Spine computed tomography; sagittal plane, index 90; Bone window (WL 400, WW 1800); 25 vertebrae labeled in this scan; image width 350 mm; a region of this slice is masked with a uniform fill
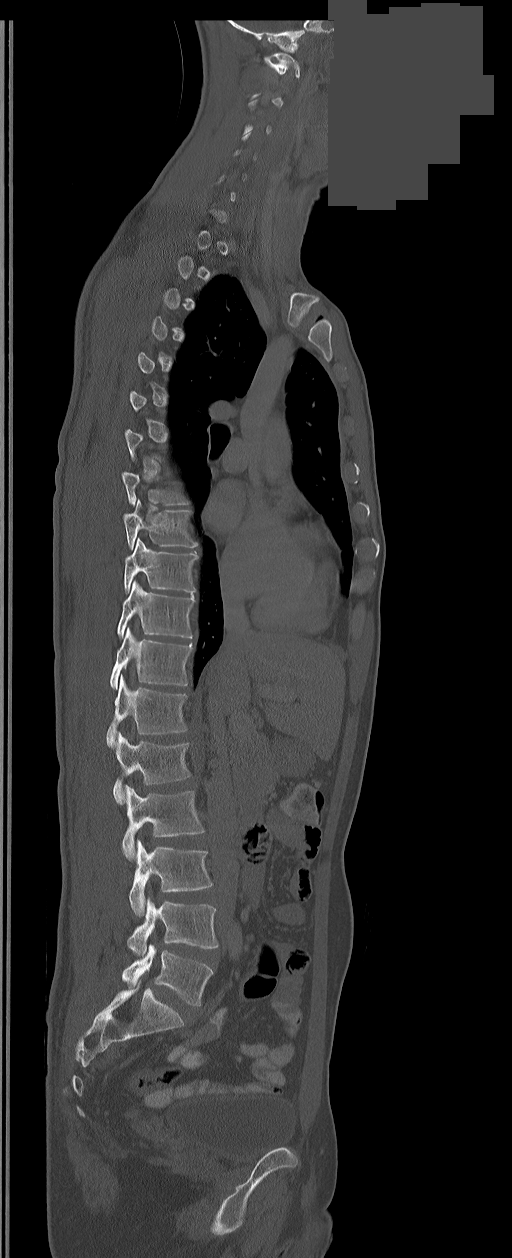 Coordinates as <box>x1,y1,x2,y2</box>. A vertebra gets a box only on the slices from the first to the last where its cross-section is at least a third of its largest; on a slice outside that range it gets none. In these labels the spine has an L6, a sixth lumbar vertebra below L5. Vertebrae labeled: C1 at <box>264,53,299,77</box>, T9 at <box>123,499,197,549</box>, T10 at <box>123,539,198,593</box>, T11 at <box>117,581,194,638</box>, T12 at <box>110,628,192,690</box>, L1 at <box>107,676,186,747</box>, L2 at <box>113,733,189,804</box>, L3 at <box>122,786,204,859</box>, L4 at <box>129,840,211,916</box>, L5 at <box>128,898,217,956</box>, L6 at <box>122,944,213,1006</box>.